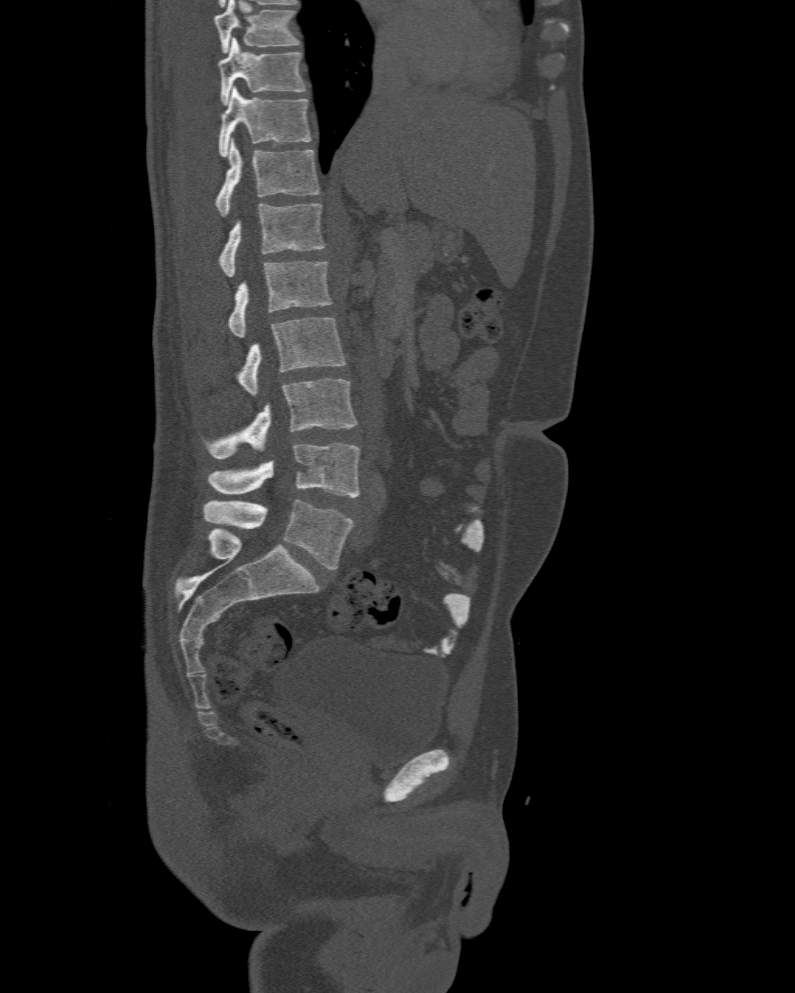

Spine CT. sagittal view. W/L 1800/400 HU
Box edges are left/top/right/bottom in pixels. The highest labeled vertebra in this scan is T10; the lowest is L6. The labels name a sixth lumbar vertebra for this spine: L6, after L5. The labeled vertebrae in this slice are: T10 at left=219, top=37, right=305, bottom=104, T11 at left=219, top=87, right=311, bottom=157, T12 at left=214, top=138, right=320, bottom=216, L1 at left=217, top=203, right=325, bottom=277, L2 at left=228, top=262, right=333, bottom=337, L3 at left=238, top=317, right=345, bottom=396, L4 at left=207, top=378, right=358, bottom=459, L5 at left=208, top=443, right=359, bottom=497, L6 at left=203, top=500, right=353, bottom=569.